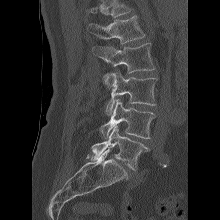 Computed tomography of the spine. sagittal view. 220x220 px
Box values are [left, top, right, bottom] in pixels.
No box is given to a vertebra that the top edge of the scan cuts off.
{"vertebrae":{"L1":[89,15,145,43],"L2":[92,43,155,89],"L3":[102,71,157,114],"L4":[99,99,155,138],"L5":[90,125,150,170]}}